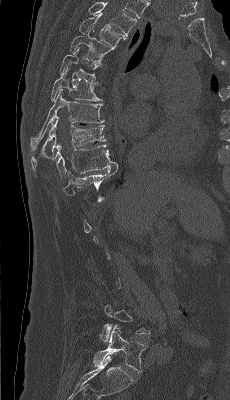
Computed tomography of the spine — sagittal reformat — Bone window (WL 400, WW 1800) — 230x400 px — 230 mm wide
Box values are [left, top, right, bottom] in pixels.
A vertebra gets a box only on the slices from the first to the last where its cross-section is at least a third of its largest; on a slice outside that range it gets none.
Labels in this scan begin with T4 at the top and end with L5 at the bottom.
{"vertebrae":{"T4":[79,13,126,49],"T5":[69,27,115,65],"T6":[60,48,99,84],"T7":[51,68,102,101],"T8":[30,89,104,151],"T9":[31,116,105,170],"T10":[52,144,117,182],"T11":[63,166,118,195],"L5":[93,325,146,372]}}